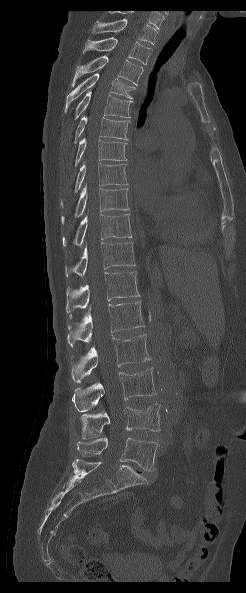
CT, spine — sagittal view — 246x593 px
Each box given as x1,y1,x2,y2.
Labels in this scan begin with T1 at the top and end with L5 at the bottom.
| vertebra | x1 | y1 | x2 | y2 |
|---|---|---|---|---|
| T1 | 92 | 18 | 157 | 44 |
| T2 | 82 | 37 | 152 | 64 |
| T3 | 71 | 56 | 143 | 87 |
| T4 | 64 | 73 | 135 | 112 |
| T5 | 74 | 90 | 132 | 120 |
| T6 | 74 | 116 | 130 | 143 |
| T7 | 75 | 138 | 127 | 166 |
| T8 | 61 | 162 | 127 | 207 |
| T9 | 61 | 184 | 128 | 223 |
| T10 | 62 | 213 | 131 | 246 |
| T11 | 65 | 242 | 135 | 276 |
| T12 | 66 | 271 | 140 | 319 |
| L1 | 67 | 301 | 144 | 346 |
| L2 | 71 | 334 | 150 | 382 |
| L3 | 72 | 368 | 156 | 411 |
| L4 | 80 | 404 | 160 | 439 |
| L5 | 77 | 437 | 158 | 470 |